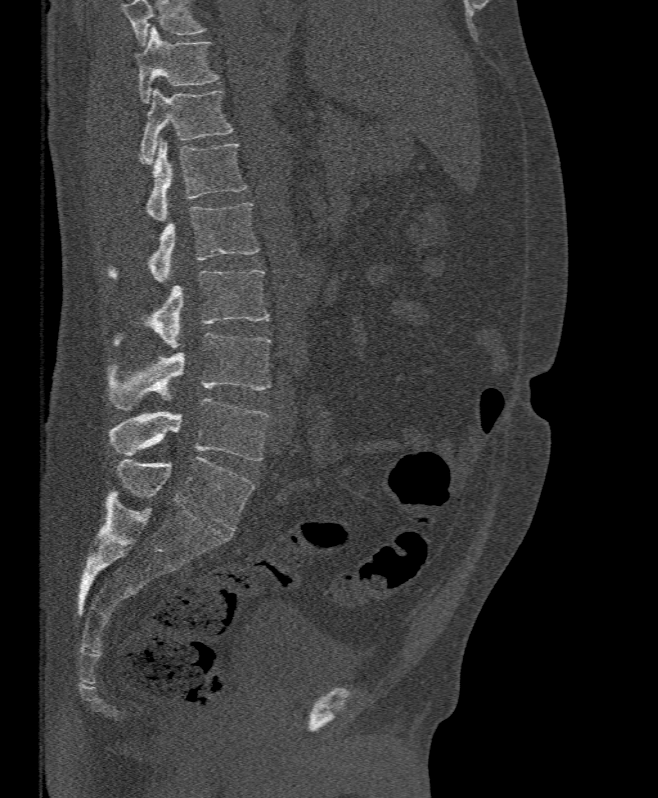
Computed tomography of the spine. sagittal view. bone window
Boxes below are [x1, y1, x2, y2] in pixels.
Where the top of the scan cuts through a vertebra, that vertebra gets no label or box.
{"vertebrae":{"L5":[108,398,269,461],"L4":[104,333,270,409],"L3":[112,270,269,347],"L2":[107,203,259,281],"L1":[139,138,247,221],"T12":[140,90,234,164],"T11":[138,25,220,102]}}